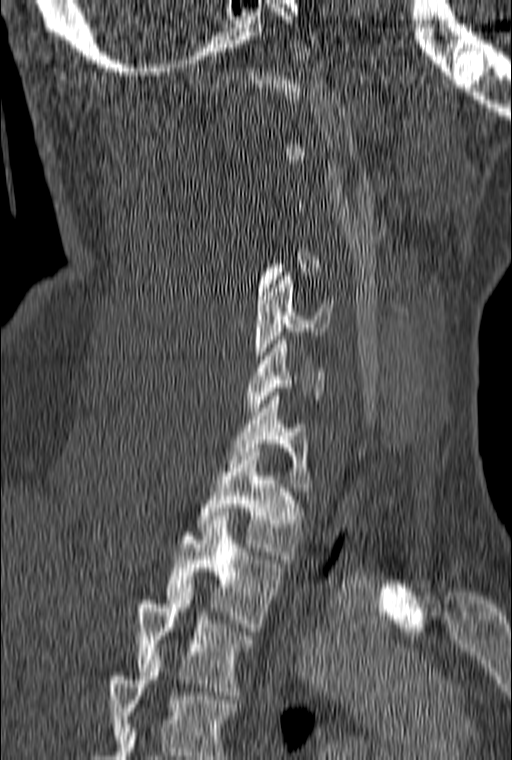

CT spine; sagittal view; 160 mm image width; 512x760 px
Each vertebra is boxed only on the slices from the first to the last where its cross-section reaches a third of its largest, so a slice outside that range leaves it unboxed.
This scan's labels start at C1 at the top and end at T3 at the bottom.
<vertebrae><v name="T3" x1="136" y1="588" x2="256" y2="699"/><v name="T2" x1="164" y1="520" x2="282" y2="631"/><v name="T1" x1="196" y1="448" x2="304" y2="559"/><v name="C7" x1="227" y1="396" x2="311" y2="491"/><v name="C6" x1="247" y1="336" x2="324" y2="411"/><v name="C5" x1="254" y1="272" x2="333" y2="367"/></vertebrae>